CT. Sagittal slice 168/357. the image spans 357 mm across
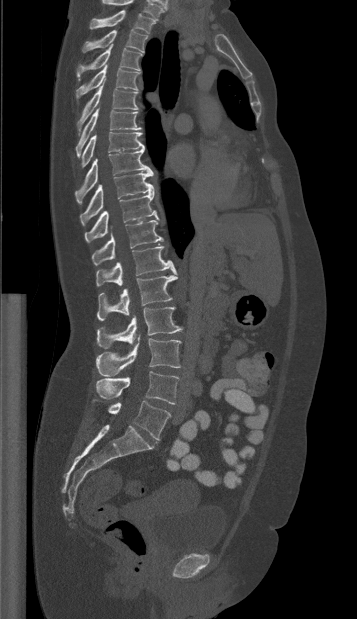

Boxes are given in columns x1, y1, x2, y2, the pixel coordinates of their top-left and bottom-right corners.
Labels in this scan begin with T1 at the top and end with L5 at the bottom.
| vertebra | x1 | y1 | x2 | y2 |
|---|---|---|---|---|
| T1 | 89 | 10 | 156 | 33 |
| T2 | 82 | 29 | 147 | 52 |
| T3 | 76 | 44 | 141 | 80 |
| T4 | 75 | 65 | 140 | 100 |
| T5 | 76 | 79 | 137 | 131 |
| T6 | 75 | 108 | 141 | 156 |
| T7 | 80 | 132 | 144 | 167 |
| T8 | 75 | 149 | 151 | 203 |
| T9 | 80 | 172 | 153 | 222 |
| T10 | 84 | 193 | 159 | 242 |
| T11 | 91 | 220 | 163 | 265 |
| T12 | 96 | 246 | 176 | 286 |
| L1 | 97 | 275 | 177 | 320 |
| L2 | 96 | 307 | 181 | 348 |
| L3 | 96 | 336 | 181 | 376 |
| L4 | 96 | 371 | 178 | 404 |
| L5 | 93 | 400 | 170 | 439 |